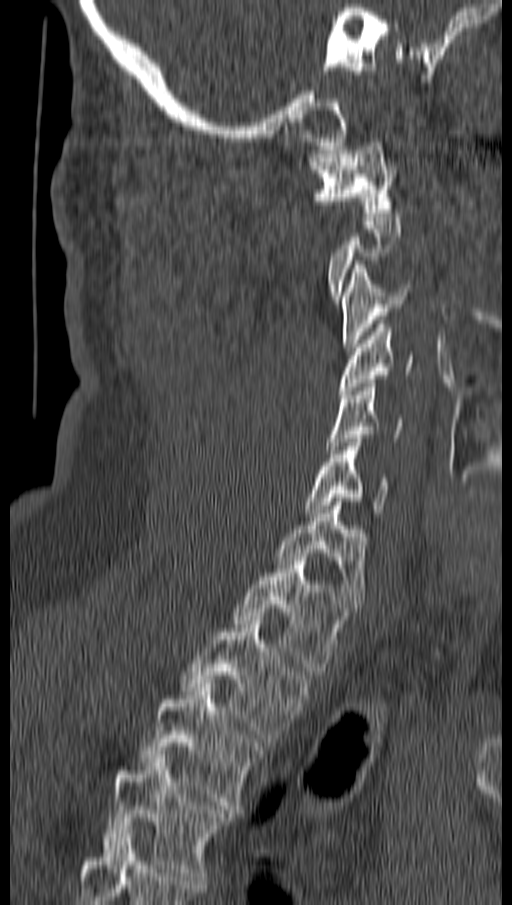

Computed tomography of the spine — sagittal view
Boxes: x1 y1 x2 y2 (pixel coords, space-separated).
A vertebra gets a box only on the slices from the first to the last where its cross-section is at least a third of its largest; on a slice outside that range it gets none.
Vertebra bounding boxes:
- C1: 311 138 396 216
- C3: 342 261 409 351
- C4: 339 320 413 394
- C5: 327 383 402 453
- C6: 304 442 391 517
- C7: 276 502 367 607
- T1: 232 557 348 675
- T2: 181 620 310 742
- T3: 140 683 262 809
- T4: 102 755 231 880